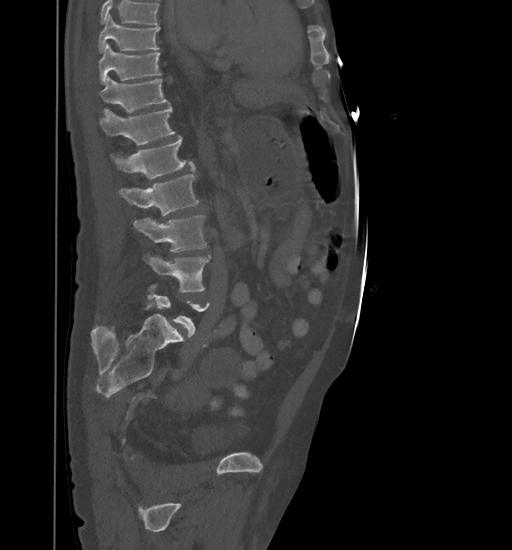 CT, spine — sagittal view
Boxes: x1 y1 x2 y2 (pixel coords, space-separated).
A vertebra is boxed only from the first to the last slice where its cross-section is at least a third of its largest; slices outside that range leave it without a box.
No box is given to a vertebra that the top edge of the scan cuts off.
T9: 99 13 159 52
T10: 99 43 161 84
T11: 101 77 169 117
T12: 99 106 174 145
L1: 111 136 195 179
L2: 118 175 198 216
L3: 133 216 206 251
L4: 142 252 211 292